Spine computed tomography; image 173 mm wide; sagittal plane, index 104; 173x184 px; scan covers 8 annotated vertebrae; part of the image is constant black where the scan was masked
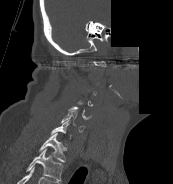
Boxes below are [x1, y1, x2, y2] in pixels.
Not every vertebra on this slice has a box: a vertebra is boxed only from the first to the last slice where its cross-section is at least a third of its largest, and this slice is outside that range for at least one of them.
The highest labeled vertebra in this scan is C1; the lowest is T1.
{"vertebrae":{"C6":[61,111,86,132],"C7":[51,119,71,138],"T1":[39,133,67,163]}}